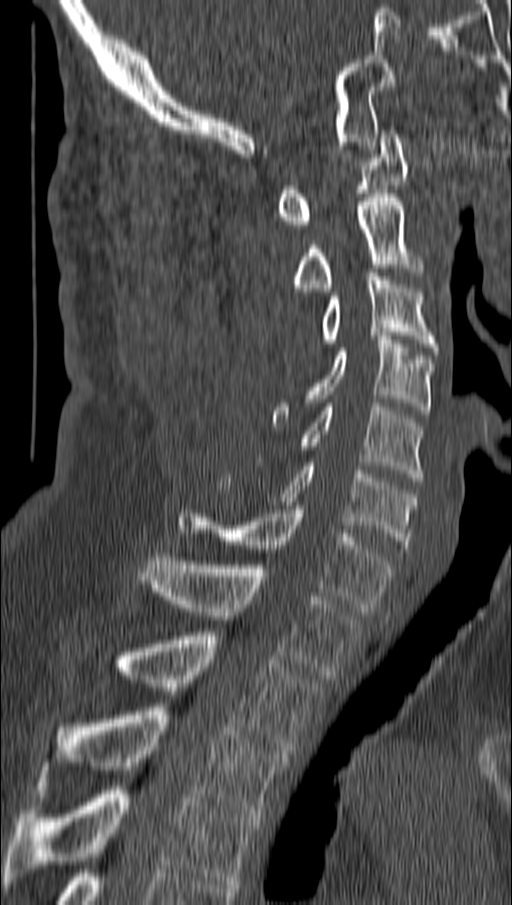
CT, spine; sagittal view; Bone window (WL 400, WW 1800). Coordinates as <box>x1,y1,x2,y2</box>.
C1: <box>276,130,408,228</box>
C2: <box>292,194,424,291</box>
C3: <box>286,273,436,366</box>
C4: <box>273,336,433,426</box>
C5: <box>301,403,424,481</box>
C6: <box>218,462,417,552</box>
C7: <box>178,506,392,611</box>
T1: <box>140,553,360,679</box>
T2: <box>115,632,319,754</box>
T3: <box>42,707,288,817</box>
T4: <box>4,786,259,888</box>